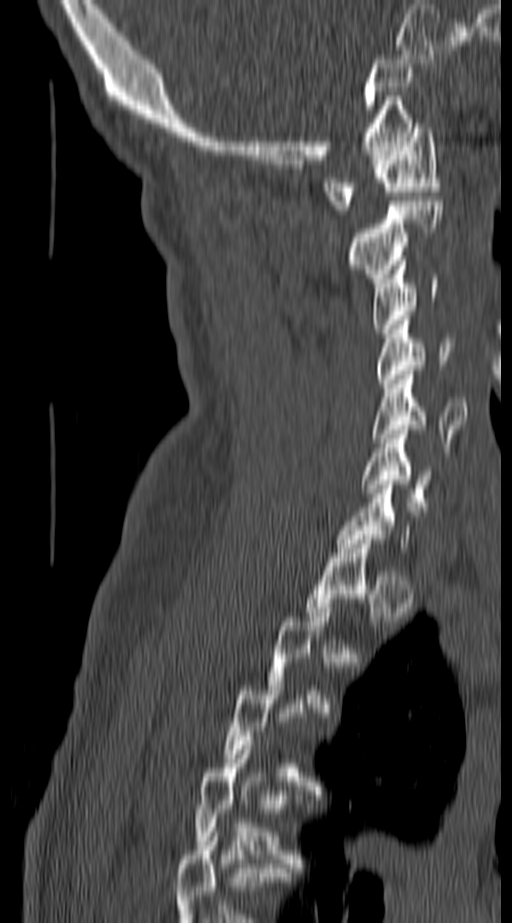

CT. the image spans 140 mm across. sagittal reformat. 512x923 px
A vertebra is boxed only from the first to the last slice where its cross-section is at least a third of its largest; slices outside that range leave it without a box.
<vertebrae><v name="C1" x1="323" y1="123" x2="439" y2="214"/><v name="C2" x1="349" y1="201" x2="443" y2="282"/><v name="C3" x1="371" y1="261" x2="437" y2="333"/><v name="C4" x1="378" y1="320" x2="454" y2="388"/><v name="C5" x1="372" y1="370" x2="466" y2="452"/><v name="C6" x1="361" y1="430" x2="434" y2="506"/></vertebrae>